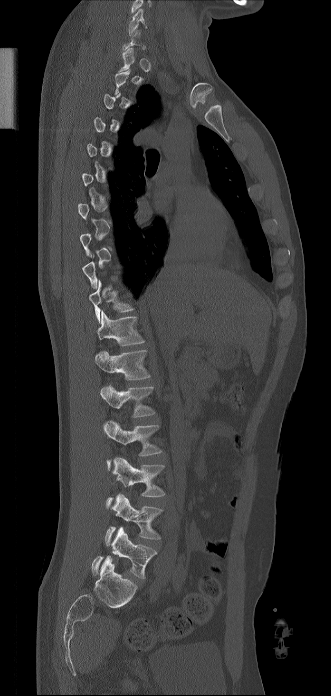

Computed tomography of the spine; sagittal reformat
Boxes: x1:y1:x2:y2 in pixels.
A vertebra is boxed only from the first to the last slice where its cross-section is at least a third of its largest; slices outside that range leave it without a box.
Vertebra bounding boxes:
- L5: 92:527:157:578
- L4: 105:493:162:545
- L3: 106:457:165:508
- L2: 103:420:162:471
- L1: 100:385:155:417
- T12: 94:350:150:380
- T11: 97:311:144:346
- T10: 89:280:134:322
- C6: 128:8:147:35